CT spine. sagittal plane, index 139. Bone window (WL 400, WW 1800). 250x372 px
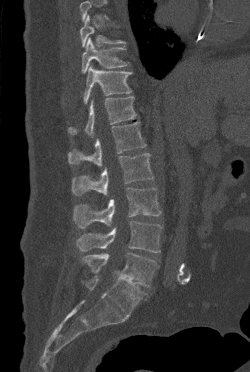 Boxes are (x1, y1, x2, y2) in pixels.
Where the top of the scan cuts through a vertebra, that vertebra gets no label or box.
L5: (81, 253, 158, 287)
L4: (77, 221, 162, 252)
L3: (73, 187, 161, 228)
L2: (72, 153, 153, 195)
L1: (68, 121, 146, 166)
T12: (68, 96, 136, 136)
T11: (83, 65, 132, 103)
T10: (82, 38, 129, 73)
T9: (80, 15, 125, 46)